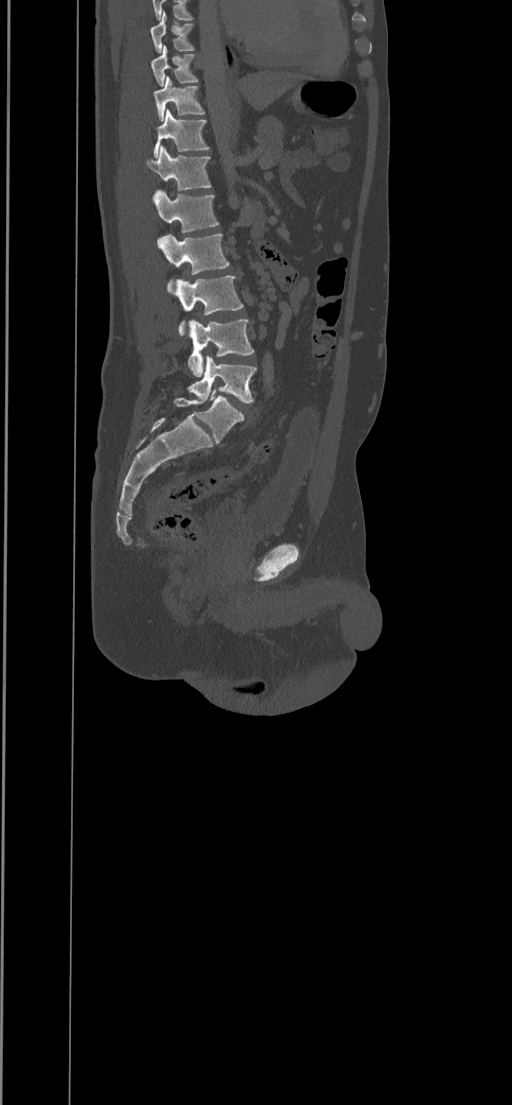 CT. sagittal view
Each vertebra maps to its box as [x1, y1, x2, y2], the pixel coordinates of its top-left and bottom-right corners.
{"vertebrae":{"T8":[150,10,195,53],"T9":[151,45,197,86],"T10":[154,75,205,120],"T11":[153,108,210,157],"T12":[146,145,211,199],"L1":[156,190,220,233],"L2":[157,234,229,293],"L3":[174,275,243,336],"L4":[187,320,254,377],"L5":[187,357,256,402]}}